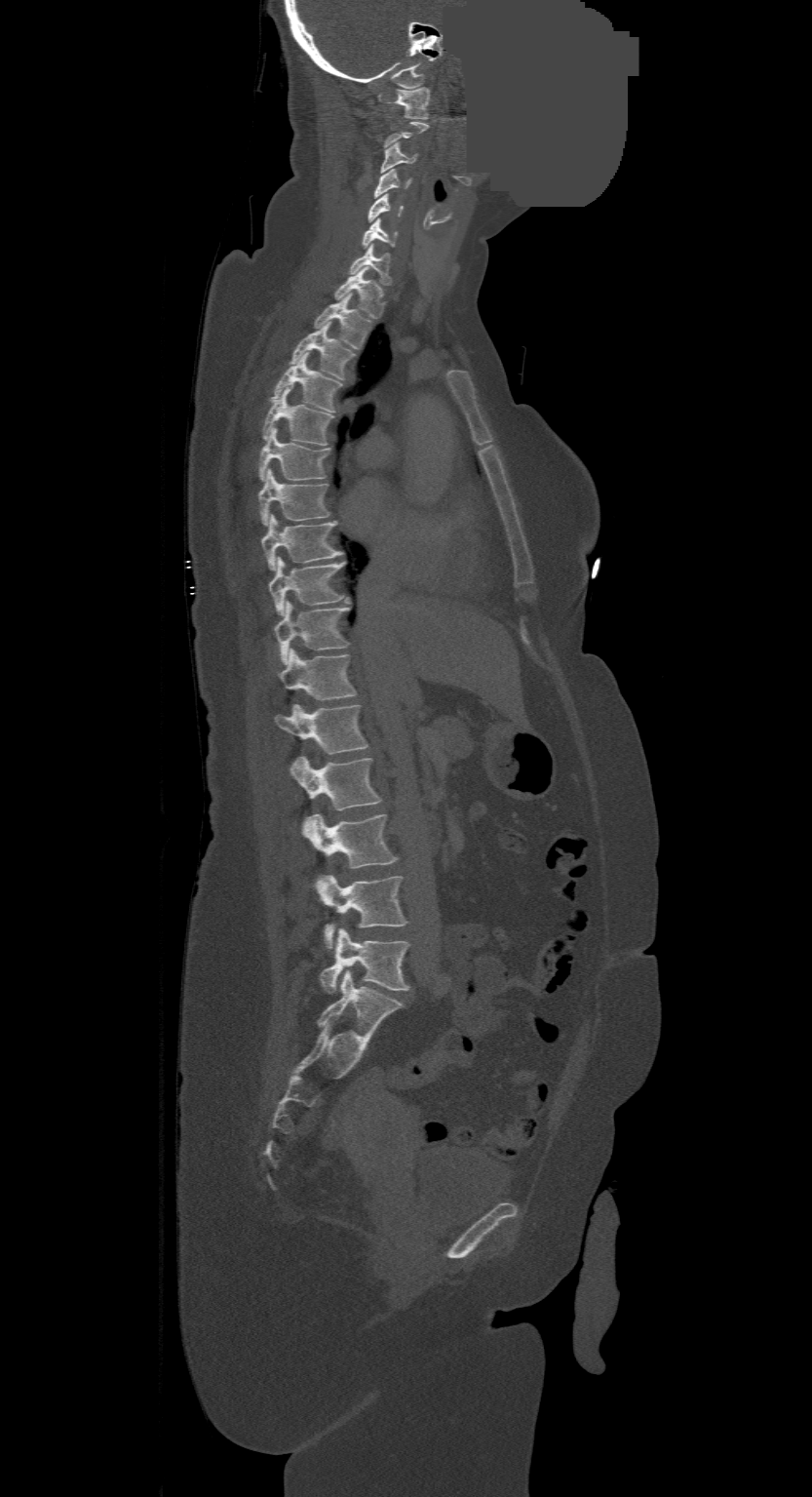 Spine computed tomography · sagittal view · 812x1497 px · a region of this slice is masked with a uniform fill
Columns x1, y1, x2, y2 give each box's top-left and bottom-right pixels.
A vertebra is boxed only from the first to the last slice where its cross-section is at least a third of its largest; slices outside that range leave it without a box.
The highest labeled vertebra in this scan is C1; the lowest is L4.
| vertebra | x1 | y1 | x2 | y2 |
|---|---|---|---|---|
| L4 | 321 | 928 | 410 | 993 |
| L3 | 319 | 875 | 406 | 949 |
| L2 | 303 | 813 | 398 | 886 |
| L1 | 290 | 756 | 381 | 810 |
| T12 | 275 | 704 | 367 | 754 |
| T11 | 279 | 649 | 356 | 700 |
| T10 | 275 | 602 | 350 | 664 |
| T9 | 268 | 556 | 348 | 615 |
| T8 | 262 | 514 | 342 | 570 |
| T7 | 258 | 468 | 330 | 525 |
| T6 | 258 | 429 | 330 | 481 |
| T5 | 263 | 387 | 333 | 445 |
| T4 | 271 | 355 | 342 | 413 |
| T3 | 290 | 324 | 355 | 379 |
| T2 | 314 | 295 | 370 | 349 |
| T1 | 334 | 267 | 385 | 318 |
| C7 | 349 | 244 | 393 | 286 |
| C6 | 362 | 218 | 398 | 248 |
| C5 | 367 | 194 | 404 | 222 |
| C4 | 374 | 170 | 410 | 198 |
| C3 | 381 | 143 | 416 | 172 |
| C1 | 395 | 87 | 429 | 118 |